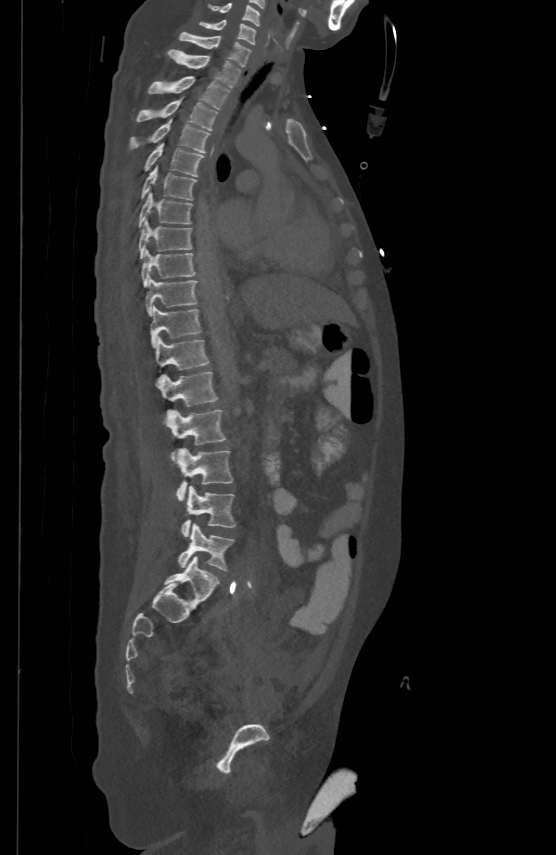
CT — sagittal view — 556x855 px — image width 500 mm. Columns x1, y1, x2, y2 give each box's top-left and bottom-right pixels.
| vertebra | x1 | y1 | x2 | y2 |
|---|---|---|---|---|
| C5 | 208 | 2 | 259 | 24 |
| C6 | 199 | 19 | 256 | 43 |
| C7 | 179 | 31 | 250 | 65 |
| T1 | 168 | 49 | 240 | 86 |
| T2 | 148 | 75 | 229 | 108 |
| T3 | 137 | 99 | 217 | 130 |
| T4 | 129 | 119 | 211 | 152 |
| T5 | 144 | 142 | 203 | 176 |
| T6 | 141 | 165 | 195 | 199 |
| T7 | 138 | 191 | 192 | 226 |
| T8 | 139 | 219 | 192 | 258 |
| T9 | 141 | 249 | 195 | 285 |
| T10 | 145 | 277 | 196 | 314 |
| T11 | 150 | 306 | 201 | 346 |
| T12 | 155 | 337 | 210 | 369 |
| L1 | 158 | 371 | 217 | 405 |
| L2 | 166 | 409 | 226 | 460 |
| L3 | 177 | 447 | 232 | 501 |
| L4 | 181 | 486 | 236 | 536 |
| L5 | 178 | 524 | 233 | 571 |